Spine computed tomography; Sagittal slice 288/512; 512x263 px
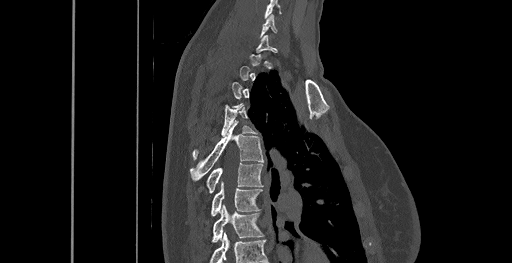
Each box given as x1,y1,x2,y2.
Each vertebra is boxed only on the slices from the first to the last where its cross-section reaches a third of its largest, so a slice outside that range leaves it unboxed.
This scan's labels start at C6 at the top and end at T8 at the bottom.
Vertebra bounding boxes:
- T8: x1=211, y1=205, x2=264, y2=242
- T7: x1=211, y1=182, x2=261, y2=216
- T6: x1=206, y1=163, x2=262, y2=193
- T5: x1=190, y1=124, x2=263, y2=181
- T4: x1=192, y1=104, x2=255, y2=160